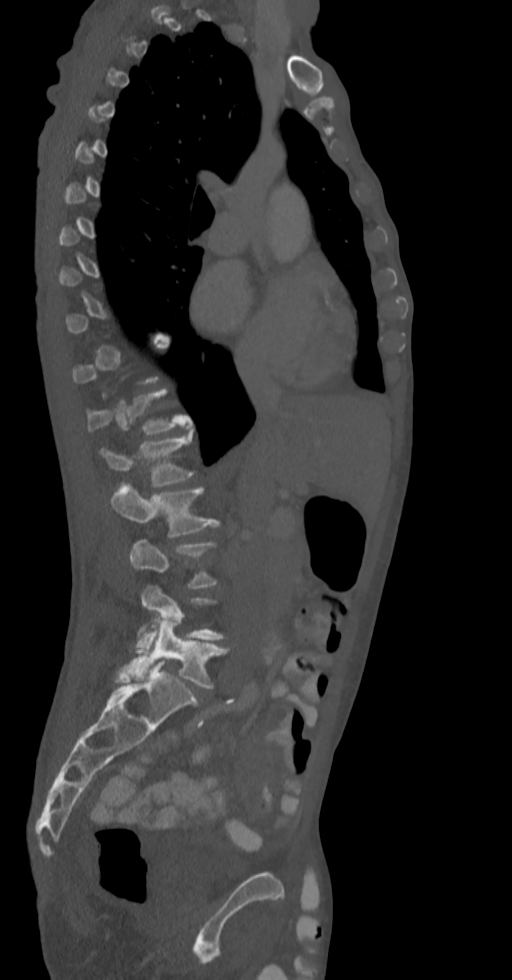

Spine computed tomography; sagittal view; 512x980 px

Each vertebra maps to its box as [x1, y1, x2, y2], the pixel coordinates of its top-left and bottom-right corners.
A vertebra is boxed only from the first to the last slice where its cross-section is at least a third of its largest; slices outside that range leave it without a box.
{"vertebrae":{"T12":[87,389,192,435],"L1":[99,430,194,487],"L2":[111,483,220,537],"L3":[129,539,217,587],"L4":[137,585,224,653],"L5":[118,620,229,688]}}